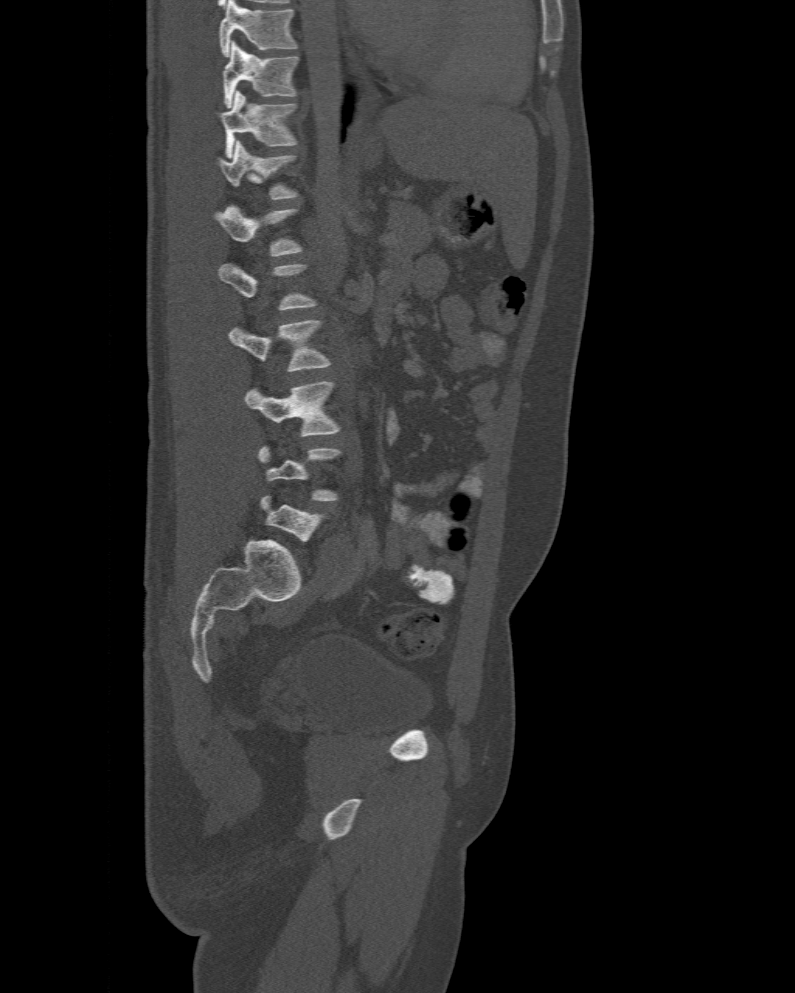 CT spine · sagittal view · bone window
Boxes below are [x1, y1, x2, y2] in pixels.
A vertebra gets a box only on the slices from the first to the last where its cross-section is at least a third of its largest; on a slice outside that range it gets none.
This scan's labels start at T10 at the top and end at L6 at the bottom.
{"vertebrae":{"T10":[224,42,299,107],"T11":[220,92,297,157],"T12":[217,140,297,199],"L1":[214,205,302,256],"L3":[228,320,331,371],"L4":[245,382,341,436]}}